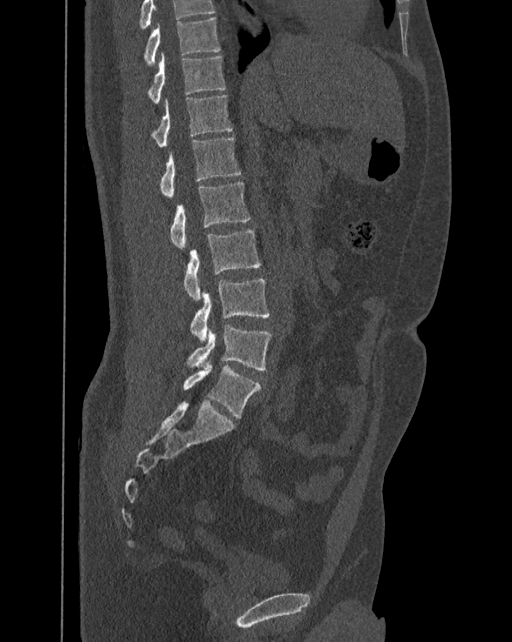 CT spine · sagittal view · 512x642 px · the image is 392 mm wide
Coordinates as <box>x1,y1,x2,y2</box>. This scan's labels start at T10 at the top and end at L6 at the bottom. In these labels the spine has an L6, a sixth lumbar vertebra below L5. The labeled vertebrae in this slice are: T10 at <box>144,18,220,65</box>, T11 at <box>147,53,225,102</box>, T12 at <box>151,94,233,147</box>, L1 at <box>159,138,240,198</box>, L2 at <box>170,182,250,249</box>, L3 at <box>183,229,260,300</box>, L4 at <box>191,279,269,342</box>, L5 at <box>187,324,271,370</box>, L6 at <box>183,361,260,417</box>.